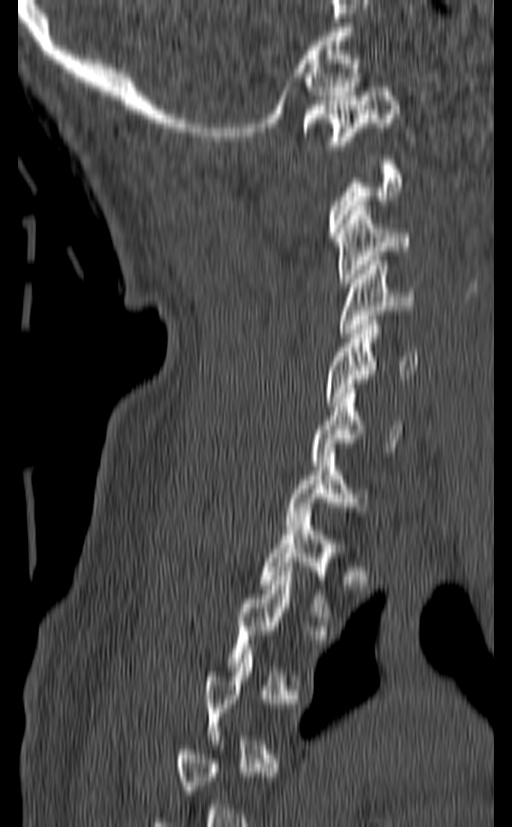 Computed tomography of the spine. sagittal reformat. image 140 mm wide. bone-window reconstruction
Box edges are left/top/right/bottom in pixels.
A vertebra gets a box only on the slices from the first to the last where its cross-section is at least a third of its largest; on a slice outside that range it gets none.
Vertebra bounding boxes:
- C1: left=302, top=87, right=399, bottom=145
- C3: left=334, top=206, right=410, bottom=287
- C4: left=338, top=261, right=414, bottom=337
- C5: left=323, top=320, right=417, bottom=406
- C6: left=312, top=384, right=404, bottom=465
- C7: left=286, top=453, right=368, bottom=529
- T1: left=260, top=512, right=344, bottom=616